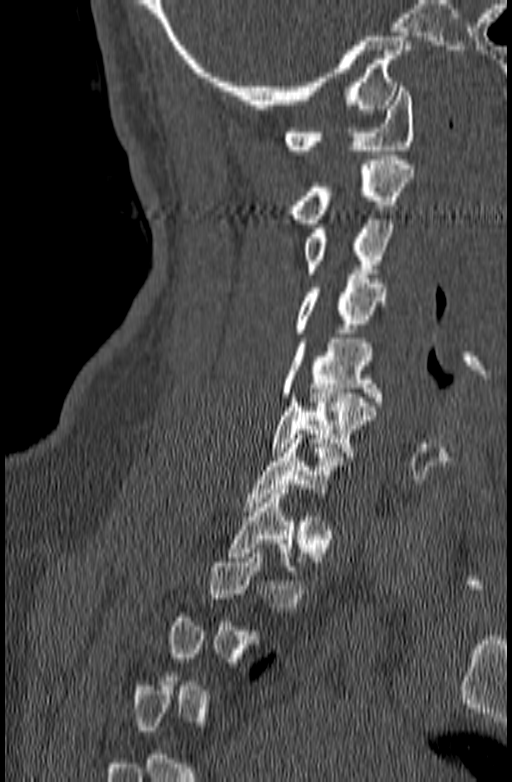
Computed tomography of the spine — sagittal view — image 140 mm wide — Bone window (WL 400, WW 1800)
Bounding boxes as [x1, y1, x2, y2] in pixel coordinates.
Not every vertebra on this slice has a box: a vertebra is boxed only from the first to the last slice where its cross-section is at least a third of its largest, and this slice is outside that range for at least one of them.
Vertebra bounding boxes:
- C1: [284, 87, 414, 154]
- C2: [290, 160, 415, 223]
- C3: [305, 215, 393, 273]
- C4: [294, 274, 386, 333]
- C5: [281, 338, 381, 401]
- C6: [270, 389, 376, 456]
- C7: [244, 434, 352, 511]